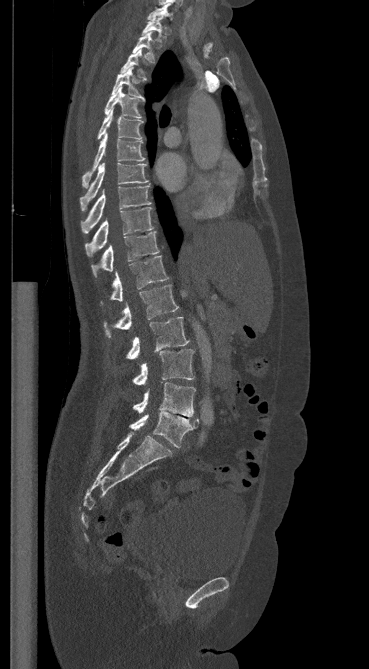 CT. sagittal view. 369x669 px
<vertebrae><v name="L5" x1="129" y1="411" x2="198" y2="447"/><v name="L4" x1="133" y1="382" x2="195" y2="417"/><v name="L3" x1="133" y1="349" x2="194" y2="385"/><v name="L2" x1="126" y1="317" x2="189" y2="359"/><v name="L1" x1="103" y1="285" x2="178" y2="337"/><v name="T12" x1="101" y1="256" x2="168" y2="304"/><v name="T11" x1="91" y1="232" x2="159" y2="276"/><v name="T10" x1="85" y1="207" x2="152" y2="257"/><v name="T9" x1="81" y1="185" x2="150" y2="233"/><v name="T8" x1="79" y1="163" x2="147" y2="210"/><v name="T7" x1="82" y1="134" x2="144" y2="186"/><v name="T6" x1="97" y1="109" x2="142" y2="140"/><v name="T5" x1="104" y1="87" x2="141" y2="117"/><v name="T4" x1="112" y1="67" x2="145" y2="101"/><v name="T3" x1="121" y1="49" x2="145" y2="78"/><v name="T2" x1="132" y1="32" x2="154" y2="61"/><v name="T1" x1="142" y1="17" x2="166" y2="41"/><v name="C7" x1="148" y1="3" x2="172" y2="19"/></vertebrae>